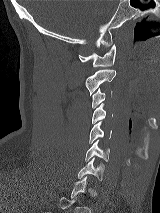

Spine CT · sagittal view · W/L 1800/400 HU
Boxes: x1:y1:x2:y2 in pixels.
A vertebra is boxed only from the first to the last slice where its cross-section is at least a third of its largest; slices outside that range leave it without a box.
Vertebra bounding boxes:
- C1: 78:44:116:66
- C2: 86:69:116:95
- C3: 91:88:112:108
- C4: 92:103:112:123
- C5: 89:121:111:143
- C6: 85:140:109:161
- C7: 77:158:104:181